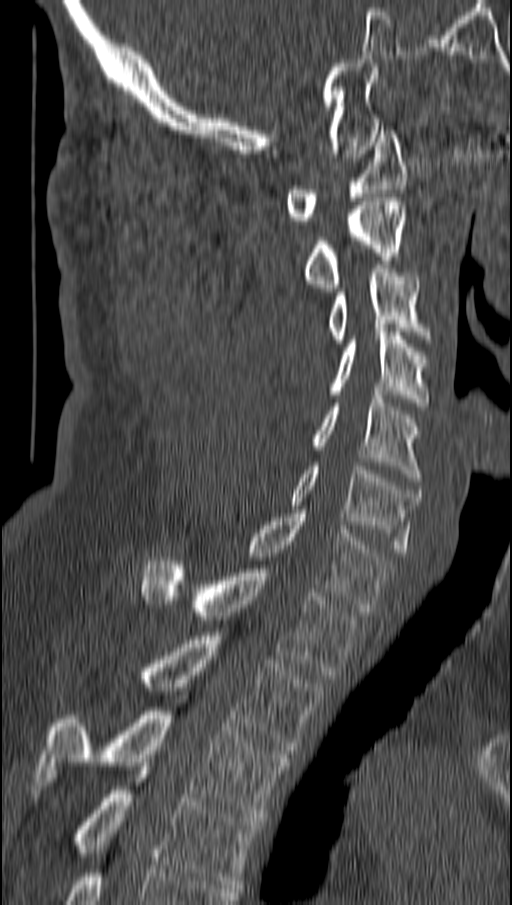
Spine CT — sagittal view — 512x905 px
<vertebrae><v name="C1" x1="286" y1="126" x2="405" y2="224"/><v name="C2" x1="304" y1="198" x2="405" y2="291"/><v name="C3" x1="327" y1="265" x2="427" y2="343"/><v name="C4" x1="330" y1="328" x2="427" y2="406"/><v name="C5" x1="311" y1="395" x2="420" y2="481"/><v name="C6" x1="289" y1="466" x2="420" y2="556"/><v name="C7" x1="248" y1="510" x2="392" y2="611"/><v name="T1" x1="139" y1="557" x2="357" y2="679"/><v name="T2" x1="140" y1="632" x2="322" y2="754"/><v name="T3" x1="36" y1="707" x2="291" y2="817"/><v name="T4" x1="74" y1="766" x2="259" y2="888"/></vertebrae>